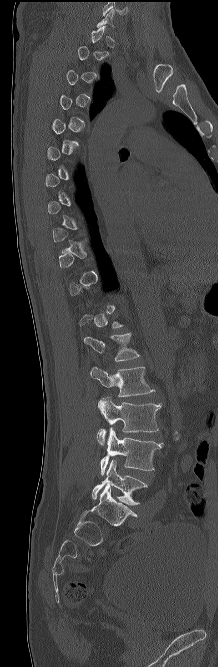
CT, spine — sagittal view — 218x667 px. Boxes: x1:y1:x2:y2 in pixels. A vertebra is boxed only from the first to the last slice where its cross-section is at least a third of its largest; slices outside that range leave it without a box. The labeled vertebrae in this slice are: L5 at 92:459:147:505, L4 at 100:427:163:475, L3 at 97:397:162:445, L2 at 90:367:154:397, L1 at 84:333:139:361.